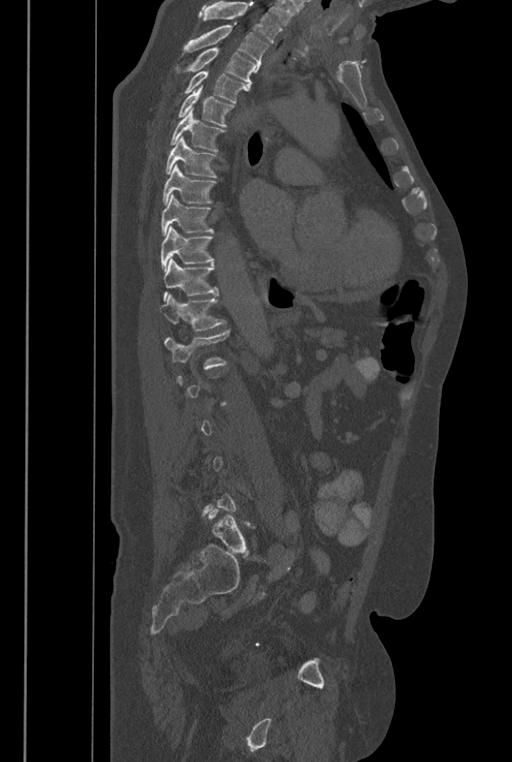

CT spine · sagittal reformat · 512x762 px
Coordinates as <box>x1,y1,x2,y2</box>.
Not every vertebra on this slice has a box: a vertebra is boxed only from the first to the last slice where its cross-section is at least a third of its largest, and this slice is outside that range for at least one of them.
Where the top of the scan cuts through a vertebra, that vertebra gets no label or box.
The labels name a sixth lumbar vertebra for this spine: L6, after L5.
T2: <box>184,25,269,72</box>
T3: <box>185,48,256,91</box>
T4: <box>184,70,246,102</box>
T5: <box>178,85,235,125</box>
T6: <box>170,108,224,151</box>
T7: <box>165,136,216,177</box>
T8: <box>163,164,216,205</box>
T9: <box>161,194,214,236</box>
T10: <box>161,226,214,272</box>
T11: <box>163,258,218,301</box>
T12: <box>159,293,226,330</box>
L1: <box>164,330,230,369</box>
L6: <box>208,508,249,555</box>